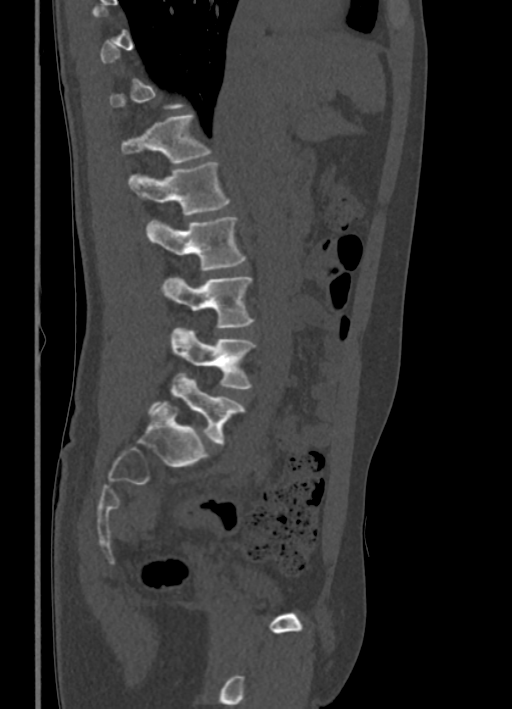

Computed tomography of the spine; sagittal reformat; bone-window reconstruction

Each vertebra is boxed only on the slices from the first to the last where its cross-section reaches a third of its largest, so a slice outside that range leaves it unboxed.
<vertebrae><v name="L5" x1="146" y1="372" x2="244" y2="444"/><v name="L4" x1="170" y1="326" x2="256" y2="389"/><v name="L3" x1="161" y1="277" x2="253" y2="328"/><v name="L2" x1="146" y1="216" x2="246" y2="270"/><v name="L1" x1="128" y1="161" x2="230" y2="215"/><v name="T12" x1="122" y1="115" x2="211" y2="164"/></vertebrae>